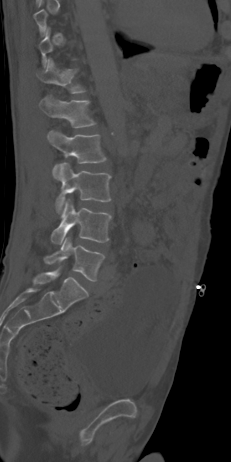 CT. sagittal view. image 231 mm wide. bone-window reconstruction
Box edges are left/top/right/bottom in pixels.
A vertebra is boxed only from the first to the last slice where its cross-section is at least a third of its largest; slices outside that range leave it without a box.
L5: left=44, top=238, right=104, bottom=281
L4: left=51, top=200, right=111, bottom=244
L3: left=56, top=162, right=111, bottom=214
L2: left=48, top=130, right=106, bottom=177
L1: left=40, top=95, right=95, bottom=128
T12: left=36, top=58, right=85, bottom=93